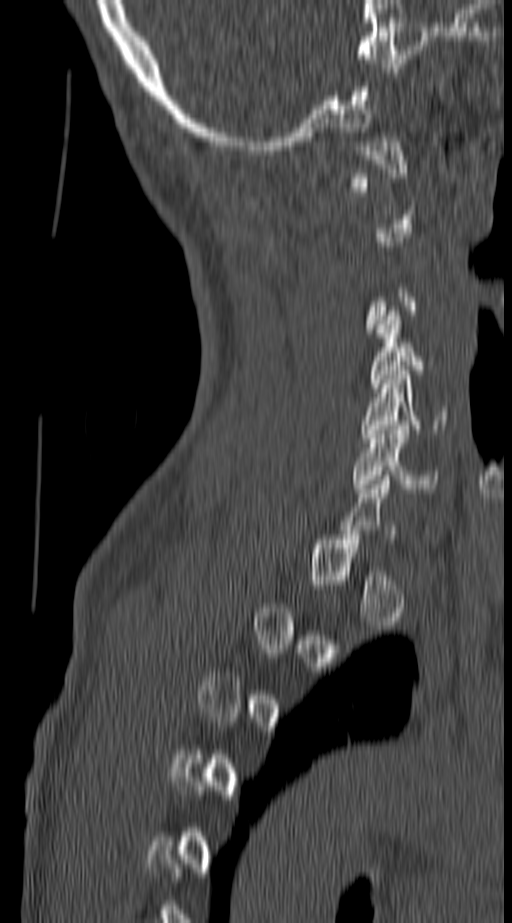

CT spine · sagittal reformat · W/L 1800/400 HU · 512x923 px
Bounding boxes as [x1, y1, x2, y2] in pixel coordinates. Not every vertebra on this slice has a box: a vertebra is boxed only from the first to the last slice where its cross-section is at least a third of its largest, and this slice is outside that range for at least one of them. The labeled vertebrae in this slice are: C5 at [361, 370, 448, 442], C6 at [352, 425, 439, 493].